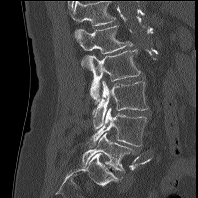 CT, spine. sagittal view. 198x198 px
In the table, x1 and y1 are a box's top-left corner and x2 and y2 its bottom-right corner, in pixels.
Labels in this scan begin with L1 at the top and end with L5 at the bottom.
| vertebra | x1 | y1 | x2 | y2 |
|---|---|---|---|---|
| L5 | 82 | 133 | 132 | 171 |
| L4 | 88 | 107 | 146 | 146 |
| L3 | 92 | 80 | 148 | 128 |
| L2 | 84 | 49 | 141 | 103 |
| L1 | 76 | 25 | 133 | 53 |